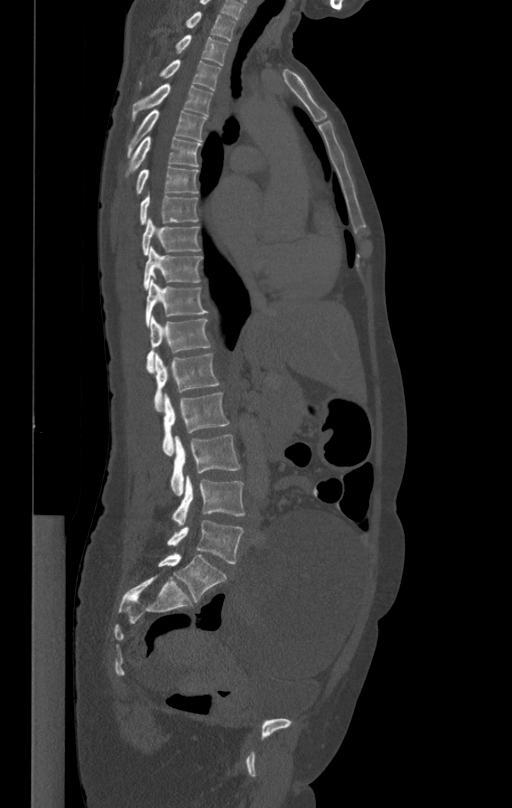 Spine CT. sagittal view. Bone window (WL 400, WW 1800). 512x808 px

Each box given as x1,y1,x2,y2.
| vertebra | x1 | y1 | x2 | y2 |
|---|---|---|---|---|
| L5 | 168 | 519 | 244 | 563 |
| L4 | 173 | 475 | 245 | 526 |
| L3 | 170 | 435 | 240 | 494 |
| L2 | 163 | 393 | 229 | 455 |
| L1 | 154 | 353 | 219 | 411 |
| T12 | 146 | 315 | 210 | 373 |
| T11 | 146 | 280 | 208 | 326 |
| T10 | 143 | 247 | 203 | 290 |
| T9 | 142 | 217 | 200 | 255 |
| T8 | 140 | 191 | 198 | 223 |
| T7 | 137 | 167 | 198 | 194 |
| T6 | 127 | 136 | 200 | 173 |
| T5 | 127 | 110 | 206 | 156 |
| T4 | 132 | 83 | 213 | 121 |
| T3 | 138 | 59 | 220 | 90 |
| T2 | 174 | 35 | 228 | 65 |
| T1 | 178 | 12 | 236 | 39 |